Spine CT — sagittal plane, index 37 — 275 mm wide
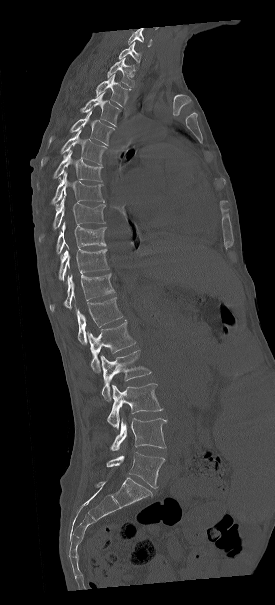 Bounding boxes as [x1, y1, x2, y2] in pixel coordinates. This scan's labels start at C7 at the top and end at L5 at the bottom. Vertebrae labeled: C7 at [118, 42, 141, 63], T1 at [107, 58, 136, 87], T2 at [95, 72, 130, 106], T3 at [80, 91, 121, 126], T4 at [48, 111, 114, 148], T5 at [41, 129, 107, 165], T6 at [53, 150, 102, 181], T7 at [51, 172, 104, 204], T8 at [39, 196, 105, 242], T9 at [56, 222, 105, 253], T10 at [59, 249, 108, 280], T11 at [50, 274, 114, 311], T12 at [76, 297, 122, 344], L1 at [86, 321, 135, 373], L2 at [99, 350, 151, 400], L3 at [107, 383, 162, 430], L4 at [110, 416, 166, 451], L5 at [106, 452, 164, 488].